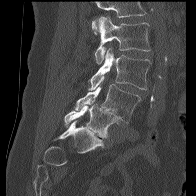 Spine computed tomography; sagittal view
Boxes: x1:y1:x2:y2 in pixels.
No box is given to a vertebra that the top edge of the scan cuts off.
Vertebra bounding boxes:
- L2: 92:16:151:64
- L3: 89:48:151:90
- L4: 75:84:141:123
- L5: 64:102:119:138